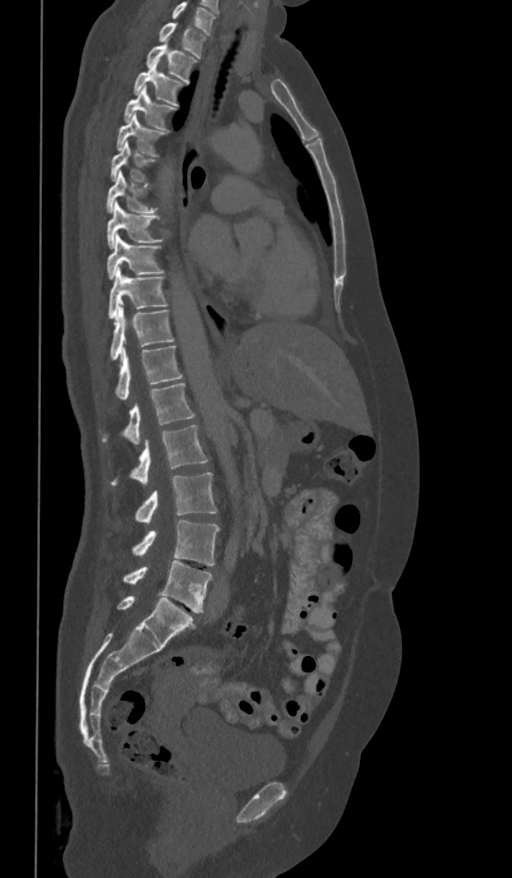

CT spine — sagittal view — bone window
Each box is [x1, y1, x2, y2] in pixels: top-left corner, then bottom-right corner.
This scan's labels start at T1 at the top and end at L5 at the bottom.
{"vertebrae":{"T1":[159,23,206,58],"T2":[146,43,196,83],"T3":[133,59,186,106],"T4":[125,86,176,130],"T5":[116,114,165,156],"T6":[110,140,155,184],"T7":[106,171,158,212],"T8":[106,200,163,248],"T9":[106,235,163,279],"T10":[108,267,168,318],"T11":[110,305,173,360],"T12":[115,345,182,400],"L1":[102,383,195,444],"L2":[110,425,207,484],"L3":[135,472,217,522],"L4":[132,520,219,566],"L5":[123,560,213,612]}}